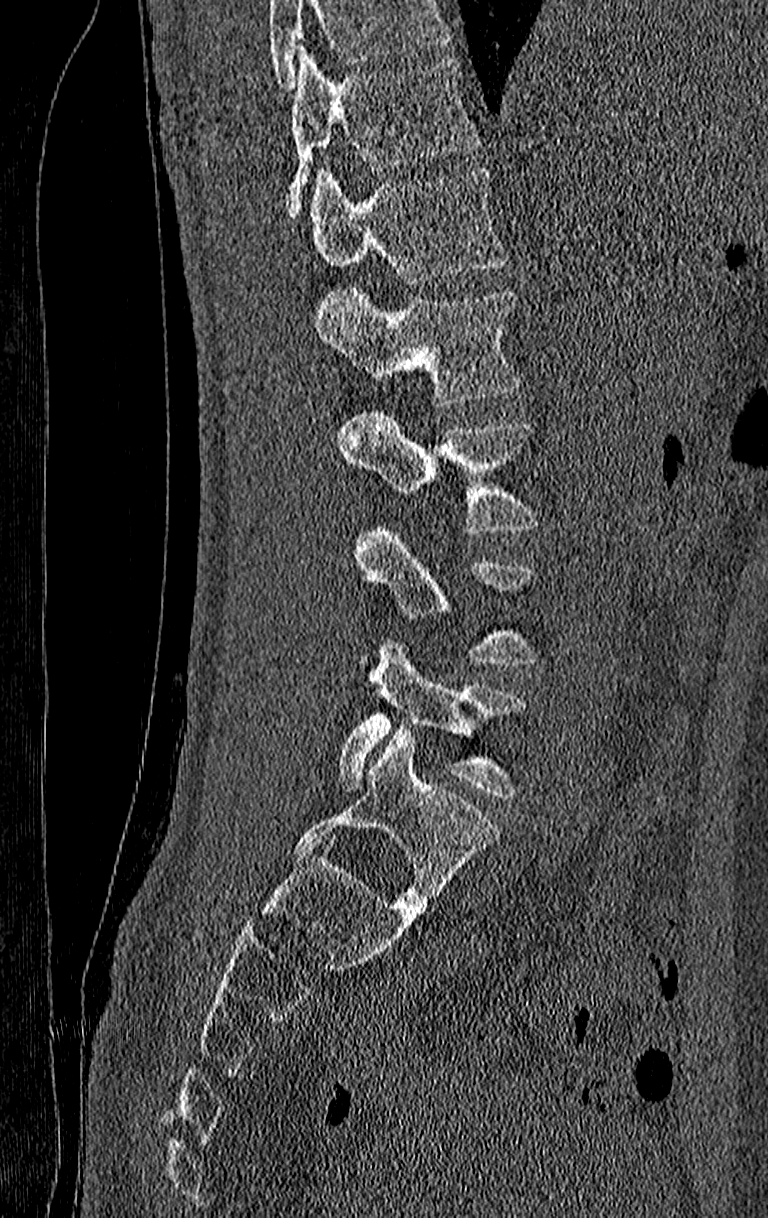 Spine computed tomography · sagittal view · bone window

A vertebra cut off by the top edge of the scan is not labeled and has no box.
Labels in this scan begin with T11 at the top and end with L4 at the bottom.
<vertebrae><v name="T11" x1="288" y1="48" x2="480" y2="220"/><v name="T12" x1="310" y1="166" x2="506" y2="282"/><v name="L1" x1="313" y1="286" x2="521" y2="405"/><v name="L2" x1="339" y1="406" x2="543" y2="534"/><v name="L3" x1="353" y1="523" x2="539" y2="666"/><v name="L4" x1="339" y1="640" x2="528" y2="800"/></vertebrae>